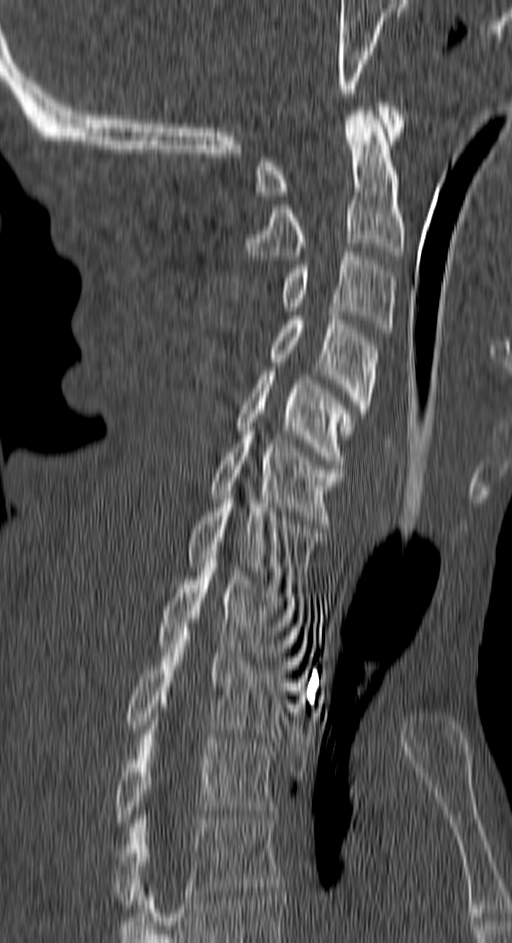

Computed tomography of the spine — sagittal view — bone-window reconstruction — 150 mm wide

Boxes: x1:y1:x2:y2 in pixels.
C1: 254:102:403:195
C2: 247:107:403:259
C3: 281:252:396:332
C4: 271:316:379:438
C5: 237:371:352:464
C6: 209:427:342:524
C7: 189:491:324:588
T1: 158:559:302:669
T2: 128:627:289:737
T3: 114:730:273:827
T4: 114:815:280:908